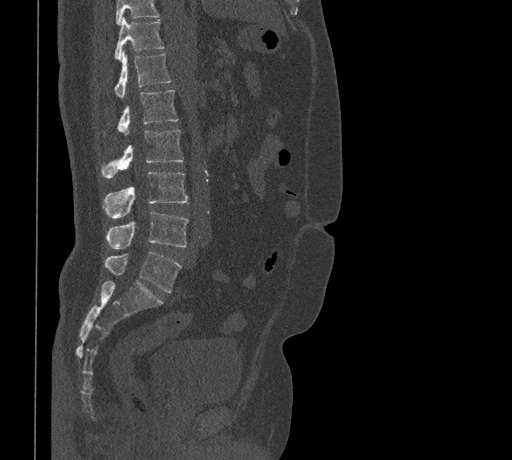

Spine CT — sagittal view — 461 mm wide
Coordinates as <box>x1,y1,x2,y2</box>.
No box is given to a vertebra that the top edge of the scan cuts off.
Vertebra bounding boxes:
- L5: <box>104,252,181,292</box>
- L4: <box>105,211,189,249</box>
- L3: <box>102,171,188,218</box>
- L2: <box>101,130,183,178</box>
- L1: <box>118,90,177,135</box>
- T12: <box>114,50,171,98</box>
- T11: <box>114,17,164,60</box>